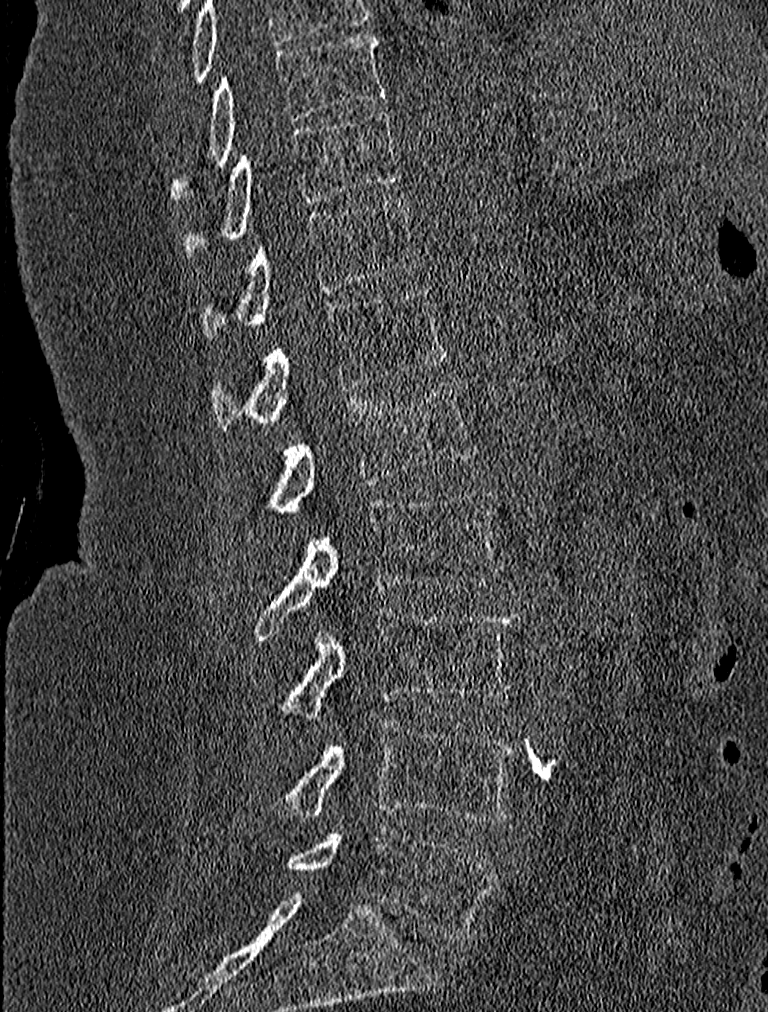
Spine CT; sagittal view; image 227 mm wide

Boxes are (x1, y1, x2, y2) in pixels.
L5: (286, 827, 495, 941)
L4: (276, 719, 515, 823)
L3: (280, 607, 519, 718)
L2: (253, 490, 502, 640)
L1: (266, 382, 478, 515)
T12: (212, 288, 448, 428)
T11: (202, 196, 417, 337)
T10: (182, 108, 400, 256)
T9: (171, 33, 387, 198)